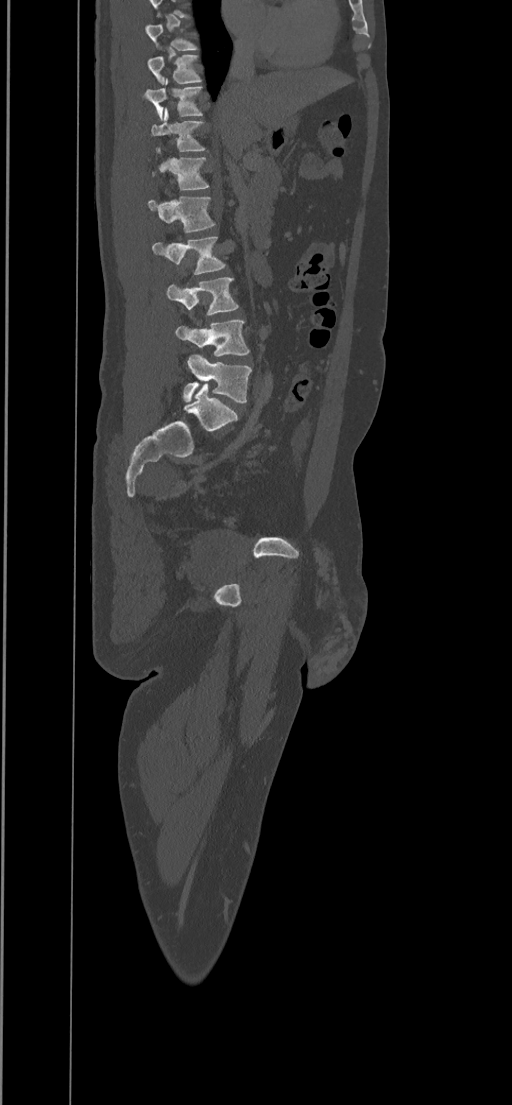 CT, spine — sagittal view — bone window — 512x1105 px
In the table, x1 and y1 are a box's top-left corner and x2 and y2 its bottom-right corner, in pixels.
The highest labeled vertebra in this scan is T8; the lowest is L5.
| vertebra | x1 | y1 | x2 | y2 |
|---|---|---|---|---|
| T8 | 145 | 24 | 197 | 50 |
| T9 | 147 | 54 | 202 | 85 |
| T10 | 143 | 79 | 202 | 119 |
| T11 | 151 | 108 | 204 | 151 |
| T12 | 152 | 156 | 209 | 190 |
| L1 | 148 | 195 | 215 | 233 |
| L2 | 152 | 236 | 225 | 274 |
| L3 | 166 | 277 | 238 | 315 |
| L4 | 176 | 320 | 249 | 356 |
| L5 | 183 | 354 | 251 | 402 |